Spine CT. sagittal reformat. scan covers 17 annotated vertebrae
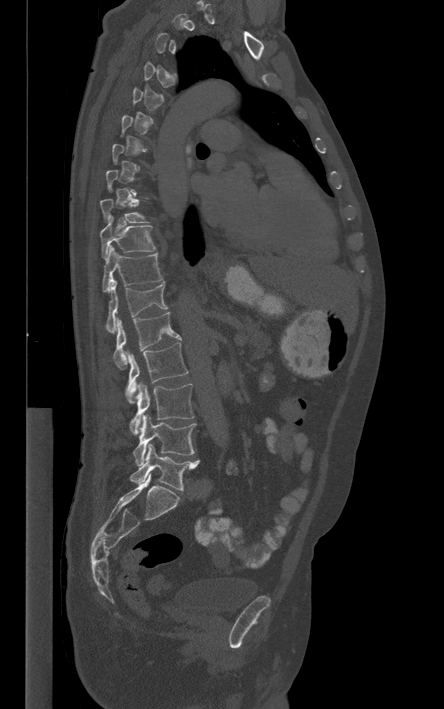

A vertebra is boxed only from the first to the last slice where its cross-section is at least a third of its largest; slices outside that range leave it without a box.
<vertebrae><v name="T9" x1="100" y1="199" x2="148" y2="223"/><v name="T10" x1="100" y1="216" x2="155" y2="260"/><v name="T11" x1="102" y1="245" x2="162" y2="292"/><v name="T12" x1="105" y1="275" x2="167" y2="333"/><v name="L1" x1="113" y1="312" x2="181" y2="369"/><v name="L2" x1="124" y1="343" x2="188" y2="403"/><v name="L3" x1="130" y1="381" x2="194" y2="435"/><v name="L4" x1="133" y1="414" x2="196" y2="465"/><v name="L5" x1="130" y1="444" x2="199" y2="490"/></vertebrae>